Spine CT; sagittal view; Bone window (WL 400, WW 1800); 8 vertebrae labeled in this scan; part of the image is constant black where the scan was masked
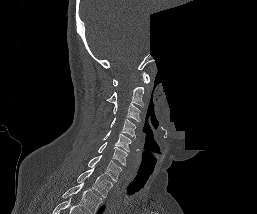

In this scan, the topmost labeled vertebra is C1 and the lowest is T1.
<vertebrae><v name="C1" x1="112" y1="72" x2="149" y2="86"/><v name="C2" x1="106" y1="87" x2="144" y2="107"/><v name="C3" x1="113" y1="103" x2="140" y2="121"/><v name="C4" x1="110" y1="117" x2="136" y2="137"/><v name="C5" x1="102" y1="130" x2="131" y2="151"/><v name="C6" x1="98" y1="142" x2="128" y2="165"/><v name="C7" x1="88" y1="155" x2="122" y2="181"/><v name="T1" x1="76" y1="168" x2="113" y2="197"/></vertebrae>